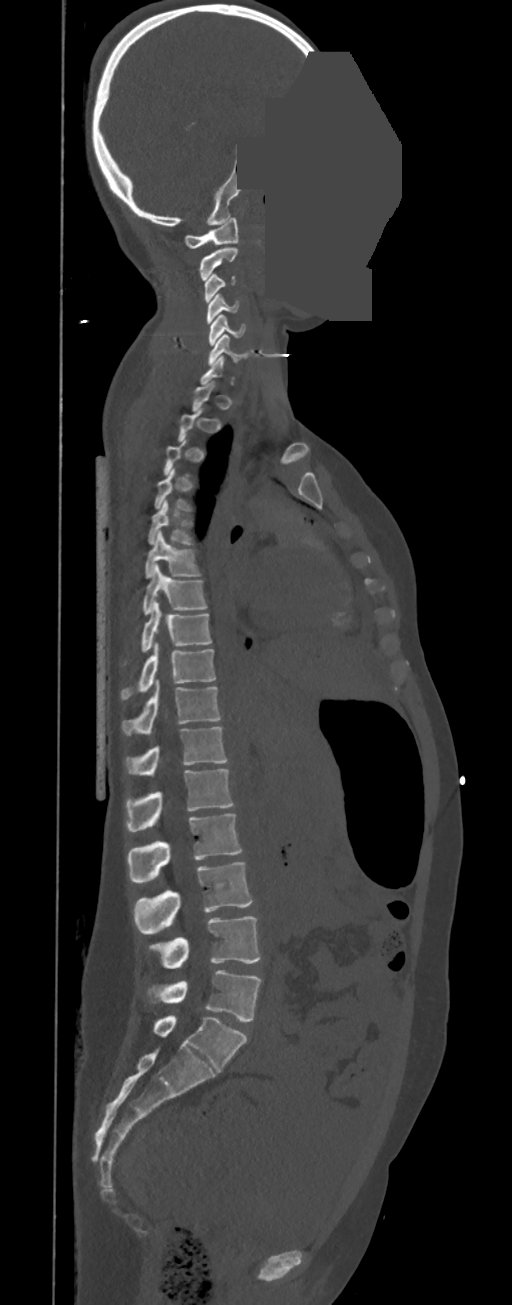
CT spine · the image is 350 mm wide · sagittal view · bone window · an area of the scan was removed and filled with constant pixels
Each vertebra is boxed only on the slices from the first to the last where its cross-section reaches a third of its largest, so a slice outside that range leaves it unboxed.
These labels give this spine no T12: after T11 the next vertebra is L1.
<vertebrae><v name="L5" x1="149" y1="970" x2="261" y2="1022"/><v name="L4" x1="150" y1="916" x2="261" y2="969"/><v name="L3" x1="133" y1="862" x2="253" y2="934"/><v name="L2" x1="127" y1="814" x2="242" y2="882"/><v name="L1" x1="126" y1="769" x2="234" y2="831"/><v name="T11" x1="124" y1="727" x2="227" y2="776"/><v name="T10" x1="121" y1="681" x2="221" y2="735"/><v name="T9" x1="121" y1="644" x2="215" y2="699"/><v name="T8" x1="124" y1="600" x2="212" y2="663"/><v name="T7" x1="142" y1="565" x2="206" y2="615"/><v name="T6" x1="145" y1="531" x2="201" y2="578"/><v name="T5" x1="148" y1="499" x2="193" y2="544"/><v name="C6" x1="207" y1="334" x2="249" y2="365"/><v name="C5" x1="209" y1="315" x2="246" y2="345"/><v name="C4" x1="206" y1="294" x2="239" y2="323"/><v name="C3" x1="204" y1="274" x2="236" y2="302"/><v name="C2" x1="199" y1="248" x2="237" y2="281"/><v name="C1" x1="184" y1="217" x2="238" y2="248"/></vertebrae>